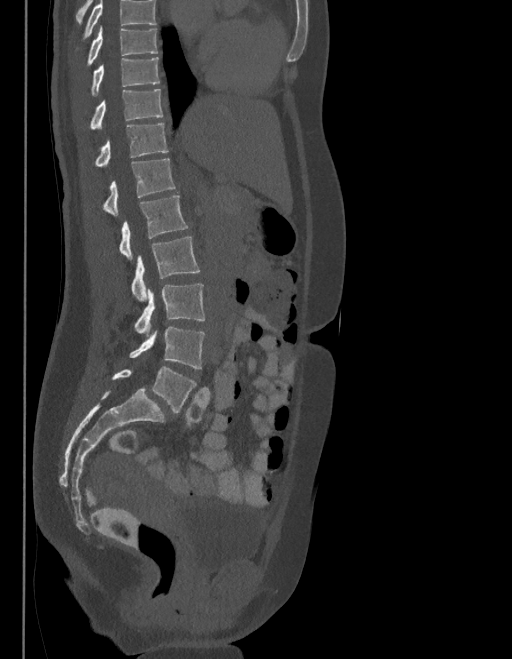 CT spine — sagittal view — Bone window (WL 400, WW 1800) — 512x659 px — image width 403 mm

Boxes are given in columns x1, y1, x2, y2, the pixel coordinates of their top-left and bottom-right corners.
Where the top of the scan cuts through a vertebra, that vertebra gets no label or box.
These labels give the spine a sixth lumbar vertebra, L6, below L5.
| vertebra | x1 | y1 | x2 | y2 |
|---|---|---|---|---|
| T9 | 88 | 27 | 158 | 64 |
| T10 | 91 | 58 | 159 | 95 |
| T11 | 90 | 89 | 163 | 129 |
| T12 | 95 | 122 | 168 | 166 |
| L1 | 103 | 158 | 174 | 215 |
| L2 | 119 | 196 | 187 | 260 |
| L3 | 132 | 237 | 200 | 301 |
| L4 | 135 | 284 | 205 | 335 |
| L5 | 129 | 327 | 205 | 368 |
| L6 | 113 | 367 | 196 | 413 |